CT — the image spans 140 mm across — Sagittal slice 257/512 — 512x923 px
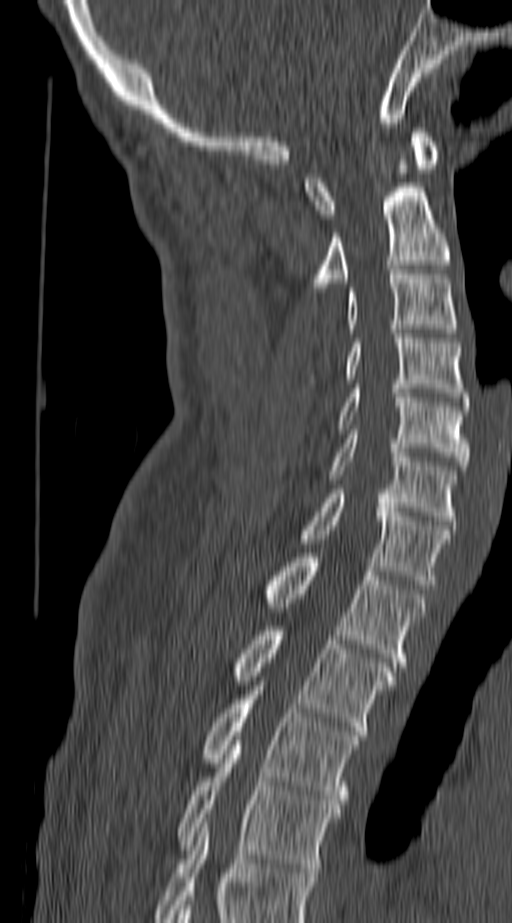
Coordinates as <box>x1,y1,x2,y2</box>. In this scan, the topmost labeled vertebra is C1 and the lowest is T4. 11 vertebrae labeled — T4 at <box>177,741,340,872</box>; T3 at <box>202,686,359,804</box>; T2 at <box>235,626,395,735</box>; T1 at <box>265,553,425,666</box>; C7 at <box>301,489,450,584</box>; C6 at <box>330,434,457,520</box>; C5 at <box>338,384,468,470</box>; C4 at <box>345,334,468,401</box>; C3 at <box>349,270,457,333</box>; C2 at <box>312,183,450,292</box>; C1 at <box>305,128,439,218</box>.